CT; sagittal view; bone window; 24 vertebrae labeled in this scan; part of the image is a flat gray fill, not anatomy
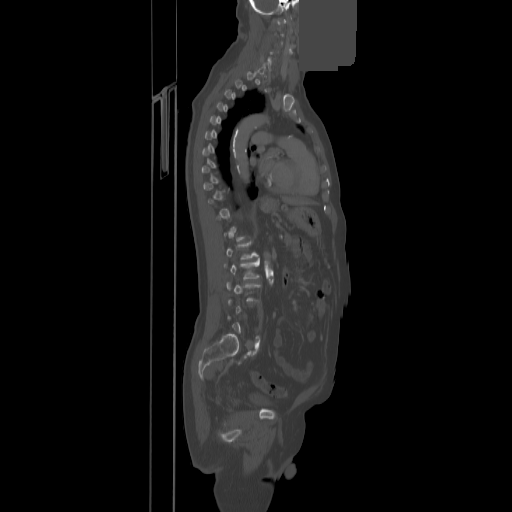
In the table, x1 and y1 are a box's top-left corner and x2 and y2 its bottom-right corner, in pixels.
Each vertebra is boxed only on the slices from the first to the last where its cross-section reaches a third of its largest, so a slice outside that range leaves it unboxed.
| vertebra | x1 | y1 | x2 | y2 |
|---|---|---|---|---|
| L1 | 226 | 241 | 258 | 259 |
| L2 | 223 | 260 | 259 | 279 |
| L3 | 226 | 282 | 260 | 301 |